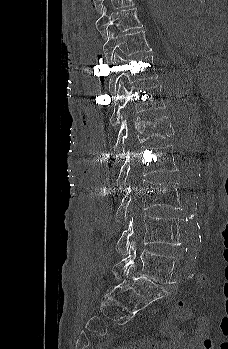
CT, spine. sagittal view. bone-window reconstruction. the image spans 228 mm across. Boxes are (x1, y1, x2, y2) in pixels.
T9: (95, 7, 142, 39)
T10: (103, 30, 152, 64)
T11: (109, 52, 158, 94)
T12: (109, 78, 165, 126)
L1: (113, 116, 173, 156)
L2: (116, 145, 178, 188)
L3: (115, 179, 183, 222)
L4: (116, 215, 185, 254)
L5: (112, 242, 178, 283)